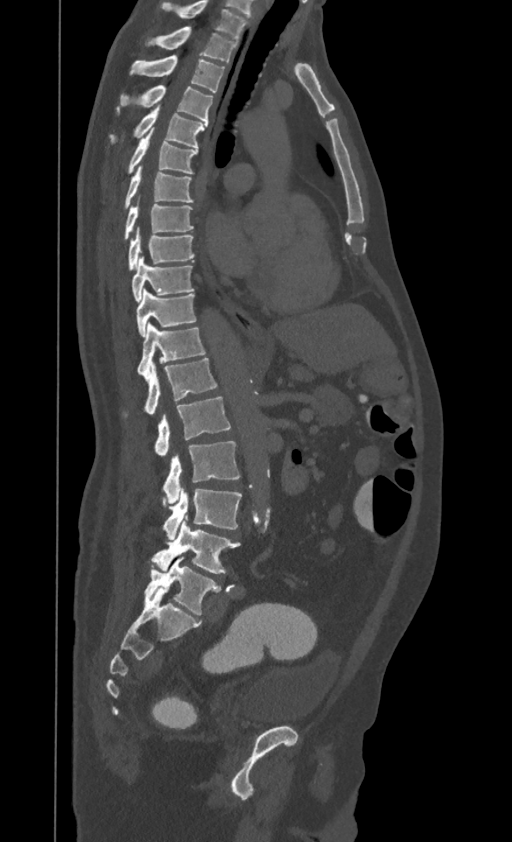 Spine computed tomography · sagittal view · image 395 mm wide
Coordinates as <box>x1,y1,x2,y2</box>.
This scan's labels start at T1 at the top and end at L4 at the bottom.
T1: <box>148,27,237,62</box>
T2: <box>129,56,224,92</box>
T3: <box>115,85,213,124</box>
T4: <box>109,105,208,148</box>
T5: <box>127,129,197,174</box>
T6: <box>124,166,193,209</box>
T7: <box>124,203,193,240</box>
T8: <box>128,230,195,270</box>
T9: <box>132,257,193,301</box>
T10: <box>136,289,196,336</box>
T11: <box>137,323,205,377</box>
T12: <box>123,358,217,418</box>
L1: <box>154,397,230,455</box>
L2: <box>163,441,240,503</box>
L3: <box>163,488,241,539</box>
L4: <box>152,516,240,573</box>